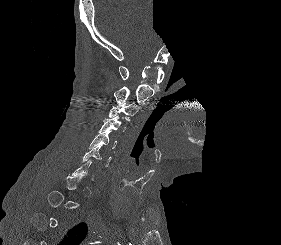 CT · sagittal view · Bone window (WL 400, WW 1800) · part of the image has been replaced by a constant value. Box edges are left/top/right/bottom in pixels.
Each vertebra is boxed only on the slices from the first to the last where its cross-section reaches a third of its largest, so a slice outside that range leaves it unboxed.
| vertebra | x1 | y1 | x2 | y2 |
|---|---|---|---|---|
| C1 | 119 | 66 | 164 | 93 |
| C2 | 114 | 84 | 154 | 104 |
| C3 | 109 | 101 | 141 | 122 |
| C4 | 99 | 116 | 126 | 132 |
| C5 | 89 | 130 | 117 | 148 |
| C6 | 81 | 144 | 111 | 166 |